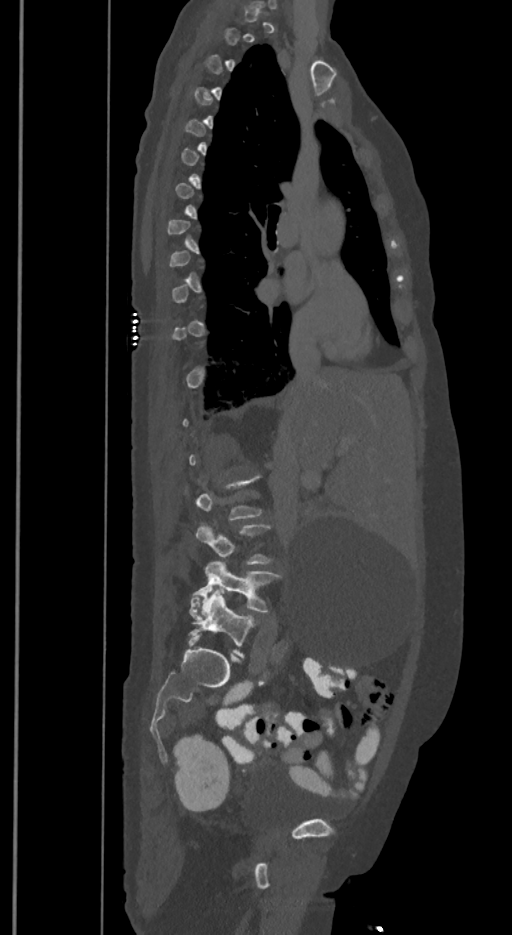 CT. sagittal reformat. 512x935 px
In the table, x1 and y1 are a box's top-left corner and x2 and y2 its bottom-right corner, in pixels.
Each vertebra is boxed only on the slices from the first to the last where its cross-section reaches a third of its largest, so a slice outside that range leaves it unboxed.
These labels give the spine a sixth lumbar vertebra, L6, below L5.
| vertebra | x1 | y1 | x2 | y2 |
|---|---|---|---|---|
| L6 | 189 | 589 | 256 | 657 |
| L5 | 192 | 561 | 281 | 614 |
| L4 | 196 | 523 | 272 | 564 |